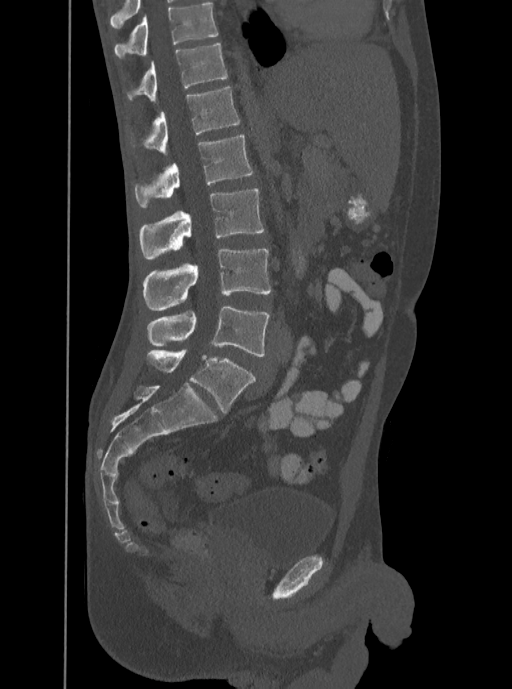

Computed tomography of the spine; sagittal view; 350 mm wide; W/L 1800/400 HU
Boxes below are [x1, y1, x2, y2] in pixels.
This scan's labels start at T12 at the top and end at L5 at the bottom.
{"vertebrae":{"T12":[127,43,227,100],"L1":[130,86,240,154],"L2":[134,134,252,208],"L3":[139,188,264,258],"L4":[143,249,271,310],"L5":[147,305,269,357]}}